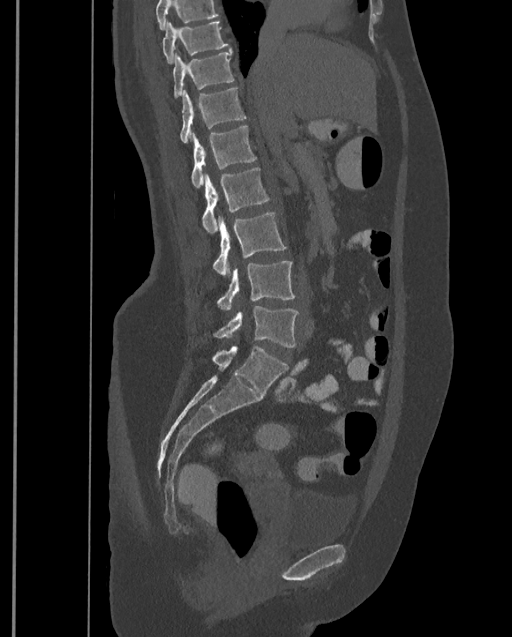

CT · sagittal view · image 399 mm wide. Each row gives a vertebra's box as x1, y1, x2, y2 in pixels: top-left corner, then bottom-right corner.
No box is given to a vertebra that the top edge of the scan cuts off.
This scan's labels start at T9 at the top and end at L4 at the bottom.
| vertebra | x1 | y1 | x2 | y2 |
|---|---|---|---|---|
| T9 | 162 | 21 | 229 | 64 |
| T10 | 172 | 50 | 234 | 98 |
| T11 | 180 | 87 | 247 | 142 |
| T12 | 191 | 126 | 257 | 187 |
| L1 | 201 | 167 | 270 | 232 |
| L2 | 213 | 211 | 286 | 276 |
| L3 | 217 | 260 | 295 | 310 |
| L4 | 213 | 306 | 298 | 347 |